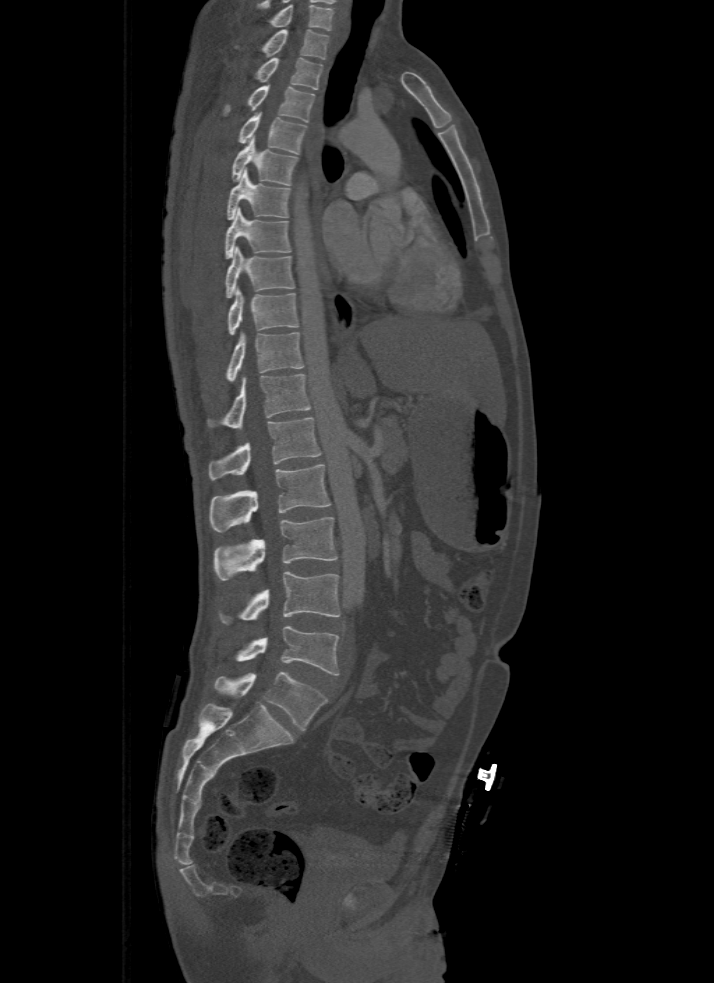

CT, spine. sagittal view

The highest labeled vertebra in this scan is T1; the lowest is L5.
<vertebrae><v name="T1" x1="262" y1="29" x2="330" y2="59"/><v name="T2" x1="257" y1="58" x2="321" y2="89"/><v name="T3" x1="223" y1="85" x2="314" y2="122"/><v name="T4" x1="239" y1="112" x2="306" y2="154"/><v name="T5" x1="232" y1="136" x2="299" y2="185"/><v name="T6" x1="227" y1="168" x2="289" y2="219"/><v name="T7" x1="225" y1="207" x2="291" y2="258"/><v name="T8" x1="226" y1="246" x2="293" y2="298"/><v name="T9" x1="227" y1="286" x2="298" y2="335"/><v name="T10" x1="226" y1="330" x2="303" y2="381"/><v name="T11" x1="208" y1="373" x2="310" y2="428"/><v name="T12" x1="208" y1="418" x2="320" y2="479"/><v name="L1" x1="208" y1="465" x2="331" y2="532"/><v name="L2" x1="213" y1="518" x2="338" y2="581"/><v name="L3" x1="219" y1="572" x2="341" y2="625"/><v name="L4" x1="234" y1="626" x2="339" y2="675"/><v name="L5" x1="215" y1="672" x2="328" y2="729"/></vertebrae>